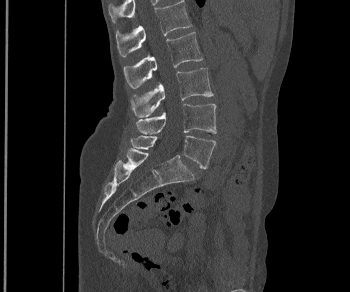

Computed tomography of the spine. sagittal view. Bone window (WL 400, WW 1800). 350x292 px. image width 350 mm
<vertebrae><v name="L1" x1="116" y1="0" x2="191" y2="57"/><v name="L2" x1="123" y1="32" x2="202" y2="89"/><v name="L3" x1="131" y1="68" x2="213" y2="117"/><v name="L4" x1="136" y1="103" x2="216" y2="134"/><v name="L5" x1="131" y1="135" x2="215" y2="168"/></vertebrae>